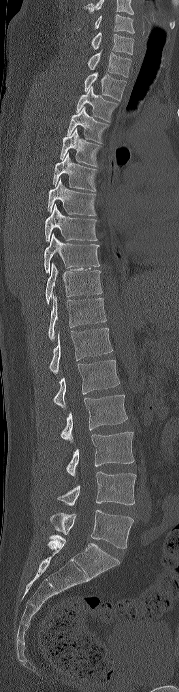 Computed tomography of the spine; sagittal view; 179x692 px
In this scan, the topmost labeled vertebra is C6 and the lowest is L5.
<vertebrae><v name="L5" x1="50" y1="510" x2="133" y2="548"/><v name="L4" x1="57" y1="472" x2="136" y2="505"/><v name="L3" x1="66" y1="432" x2="134" y2="476"/><v name="L2" x1="61" y1="394" x2="127" y2="442"/><v name="L1" x1="54" y1="360" x2="119" y2="408"/><v name="T12" x1="49" y1="328" x2="112" y2="373"/><v name="T11" x1="48" y1="295" x2="106" y2="340"/><v name="T10" x1="45" y1="263" x2="102" y2="303"/><v name="T9" x1="43" y1="233" x2="100" y2="272"/><v name="T8" x1="45" y1="204" x2="97" y2="241"/><v name="T7" x1="47" y1="178" x2="96" y2="216"/><v name="T6" x1="52" y1="153" x2="97" y2="191"/><v name="T5" x1="60" y1="128" x2="100" y2="166"/><v name="T4" x1="66" y1="107" x2="109" y2="143"/><v name="T3" x1="76" y1="86" x2="118" y2="122"/><v name="T2" x1="84" y1="71" x2="126" y2="101"/><v name="T1" x1="88" y1="51" x2="131" y2="77"/><v name="C7" x1="91" y1="32" x2="133" y2="54"/><v name="C6" x1="95" y1="14" x2="134" y2="33"/></vertebrae>